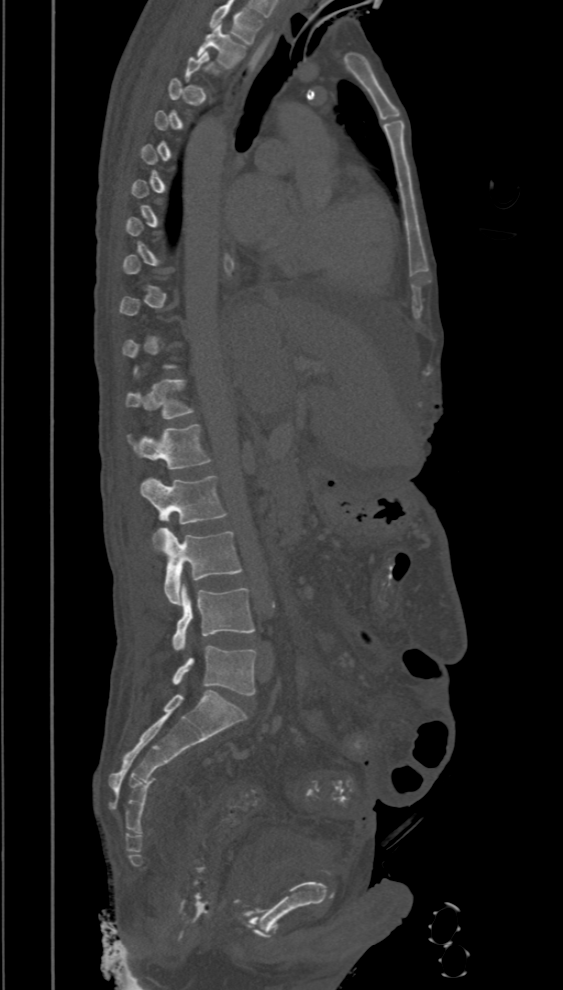
Spine computed tomography. image 394 mm wide. sagittal view

Box values are [left, top, right, bottom] in pixels.
Not every vertebra on this slice has a box: a vertebra is boxed only from the first to the last slice where its cross-section is at least a third of its largest, and this slice is outside that range for at least one of them.
This scan's labels start at T2 at the top and end at L5 at the bottom.
{"vertebrae":{"T2":[197,26,246,68],"T12":[125,378,195,419],"L1":[128,425,211,469],"L2":[140,476,228,524],"L3":[152,527,242,605],"L4":[171,584,254,650],"L5":[171,646,256,695]}}